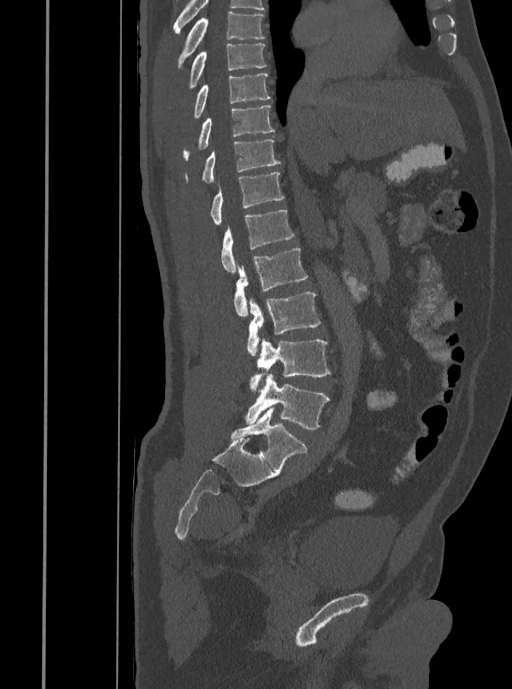 CT spine · sagittal view · the image is 408 mm wide · 512x689 px. Boxes: x1:y1:x2:y2 in pixels.
Vertebra bounding boxes:
- T7: 178:11:265:67
- T8: 189:43:266:88
- T9: 193:73:270:119
- T10: 183:105:275:159
- T11: 185:139:280:182
- T12: 211:172:284:224
- L1: 221:210:294:272
- L2: 233:247:308:315
- L3: 247:291:320:356
- L4: 249:339:330:394
- L5: 245:373:329:429